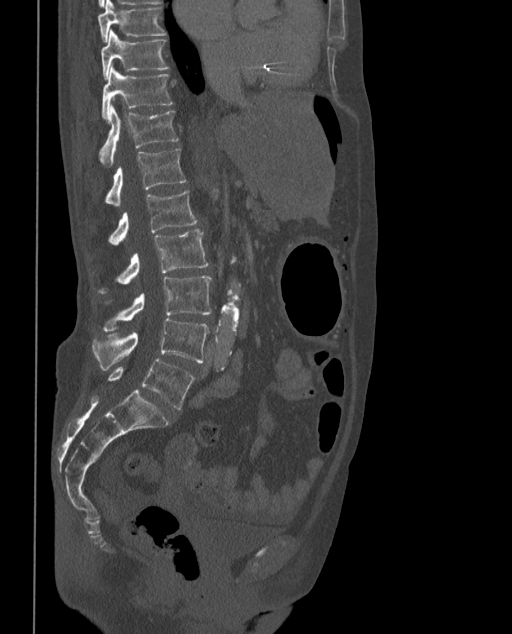 Spine CT. sagittal view. W/L 1800/400 HU. image width 373 mm. Each box given as x1,y1,x2,y2.
These labels give the spine a sixth lumbar vertebra, L6, below L5.
Vertebra bounding boxes:
- L6: x1=108, y1=359, x2=194, y2=409
- L5: x1=92, y1=319, x2=209, y2=371
- L4: x1=103, y1=275, x2=212, y2=331
- L3: x1=100, y1=229, x2=209, y2=293
- L2: x1=108, y1=190, x2=196, y2=246
- L1: x1=106, y1=148, x2=185, y2=207
- T12: x1=99, y1=106, x2=179, y2=166
- T11: x1=101, y1=67, x2=173, y2=120
- T10: x1=101, y1=30, x2=168, y2=78
- T9: x1=97, y1=0, x2=166, y2=41